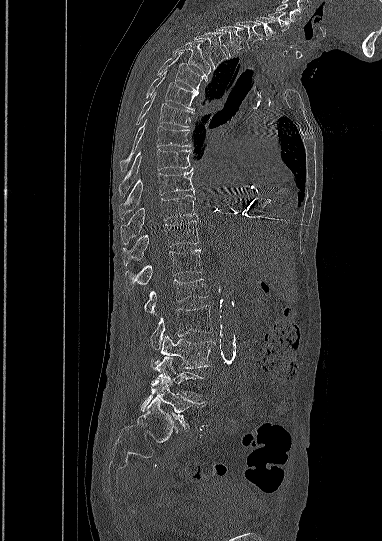

Computed tomography of the spine — sagittal reformat — 382x541 px
This scan's labels start at C5 at the top and end at L5 at the bottom.
<vertebrae><v name="C5" x1="267" y1="11" x2="289" y2="31"/><v name="C6" x1="255" y1="17" x2="275" y2="40"/><v name="C7" x1="237" y1="20" x2="262" y2="48"/><v name="T1" x1="215" y1="25" x2="243" y2="57"/><v name="T2" x1="193" y1="32" x2="227" y2="68"/><v name="T3" x1="172" y1="42" x2="210" y2="80"/><v name="T4" x1="158" y1="55" x2="205" y2="92"/><v name="T5" x1="146" y1="71" x2="198" y2="110"/><v name="T6" x1="137" y1="91" x2="192" y2="127"/><v name="T7" x1="120" y1="118" x2="189" y2="171"/><v name="T8" x1="119" y1="149" x2="190" y2="195"/><v name="T9" x1="119" y1="168" x2="194" y2="218"/><v name="T10" x1="121" y1="195" x2="195" y2="243"/><v name="T11" x1="123" y1="221" x2="198" y2="265"/><v name="T12" x1="125" y1="248" x2="201" y2="290"/><v name="L1" x1="144" y1="279" x2="207" y2="312"/><v name="L2" x1="150" y1="305" x2="213" y2="349"/><v name="L3" x1="152" y1="335" x2="213" y2="368"/><v name="L4" x1="153" y1="356" x2="203" y2="399"/><v name="L5" x1="140" y1="377" x2="203" y2="428"/></vertebrae>